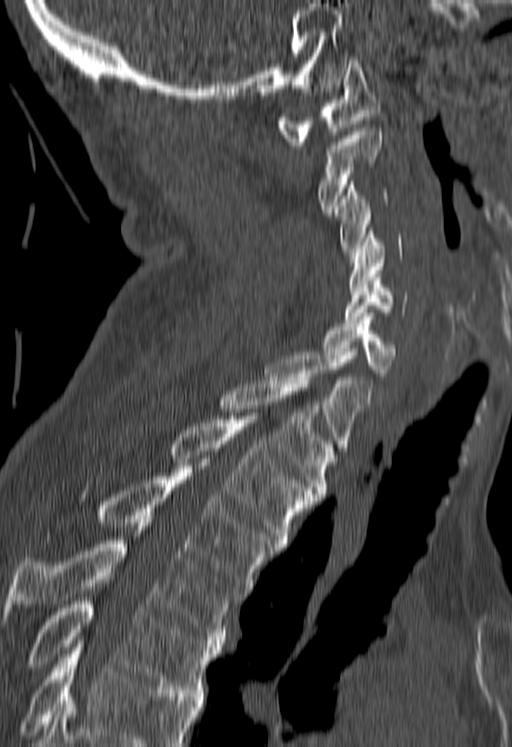
CT, spine. sagittal view. bone-window reconstruction
Each row gives a vertebra's box as x1, y1, x2, y2 in pixels: top-left corner, then bottom-right corner.
Where the bottom of the scan cuts through a vertebra, that vertebra gets no label or box.
| vertebra | x1 | y1 | x2 | y2 |
|---|---|---|---|---|
| C1 | 276 | 57 | 381 | 145 |
| C2 | 319 | 128 | 381 | 212 |
| C3 | 335 | 181 | 387 | 255 |
| C4 | 348 | 231 | 402 | 291 |
| C5 | 345 | 277 | 407 | 323 |
| C6 | 322 | 316 | 395 | 376 |
| C7 | 265 | 352 | 371 | 451 |
| T1 | 220 | 377 | 336 | 497 |
| T2 | 169 | 416 | 316 | 547 |
| T3 | 98 | 469 | 276 | 596 |
| T4 | 2 | 523 | 236 | 643 |
| T5 | 27 | 601 | 222 | 696 |